Spine computed tomography. sagittal reformat
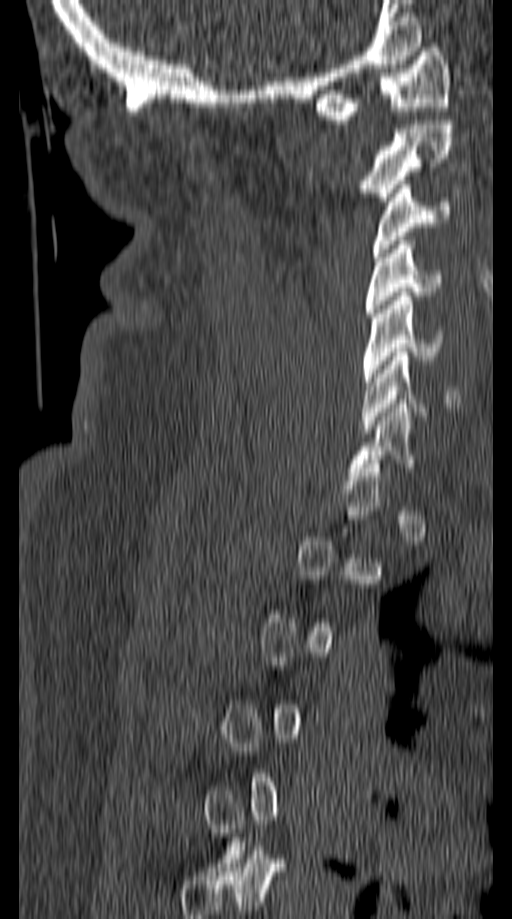
Boxes: x1 y1 x2 y2 (pixel coords, space-separated).
A vertebra is boxed only from the first to the last slice where its cross-section is at least a third of its largest; slices outside that range leave it without a box.
Vertebra bounding boxes:
- C1: 315 43 450 124
- C2: 359 120 454 201
- C3: 372 180 453 257
- C4: 365 241 440 317
- C5: 362 292 443 386
- C6: 362 352 458 433